CT. sagittal reformat. W/L 1800/400 HU. scan covers 14 annotated vertebrae. the image is 180 mm wide
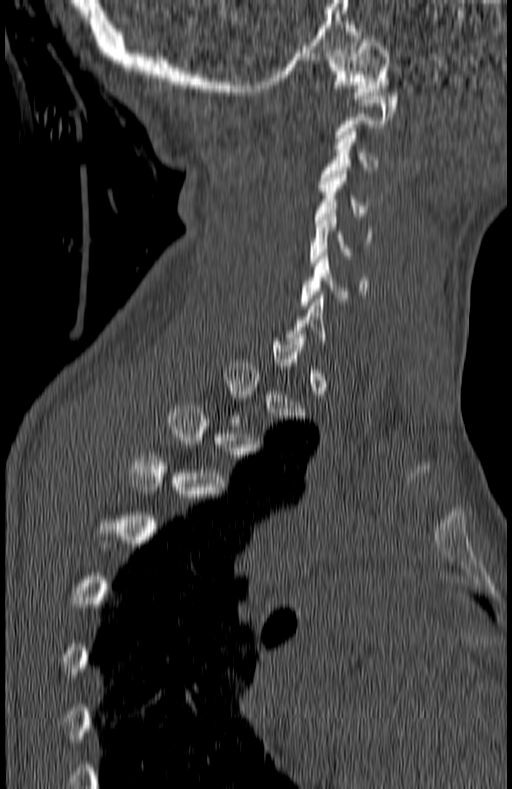

Boxes are (x1, y1, x2, y2) in pixels.
A vertebra is boxed only from the first to the last slice where its cross-section is at least a third of its largest; slices outside that range leave it without a box.
Vertebra bounding boxes:
- C1: (328, 39, 390, 99)
- C3: (320, 128, 378, 184)
- C4: (314, 171, 367, 219)
- C5: (309, 210, 373, 262)
- C6: (300, 256, 367, 308)